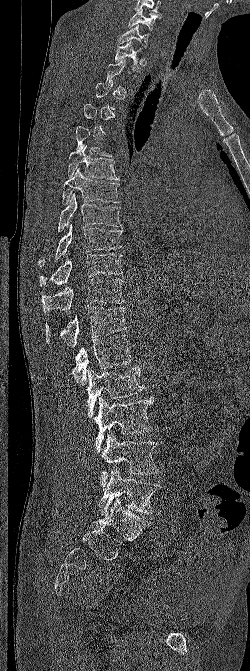 CT; sagittal view; W/L 1800/400 HU

Columns x1, y1, x2, y2 give each box's top-left and bottom-right pixels.
Not every vertebra on this slice has a box: a vertebra is boxed only from the first to the last slice where its cross-section is at least a third of its largest, and this slice is outside that range for at least one of them.
| vertebra | x1 | y1 | x2 | y2 |
|---|---|---|---|---|
| C6 | 128 | 8 | 161 | 30 |
| C7 | 118 | 24 | 150 | 47 |
| T1 | 114 | 41 | 143 | 71 |
| T6 | 67 | 145 | 118 | 180 |
| T7 | 62 | 168 | 120 | 204 |
| T8 | 58 | 193 | 121 | 231 |
| T9 | 38 | 224 | 123 | 267 |
| T10 | 39 | 252 | 122 | 286 |
| T11 | 41 | 279 | 125 | 313 |
| T12 | 45 | 307 | 127 | 348 |
| L1 | 71 | 334 | 132 | 385 |
| L2 | 86 | 365 | 144 | 418 |
| L3 | 94 | 397 | 154 | 453 |
| L4 | 100 | 431 | 159 | 487 |
| L5 | 98 | 468 | 160 | 515 |